CT spine — sagittal reformat — scan covers 12 annotated vertebrae
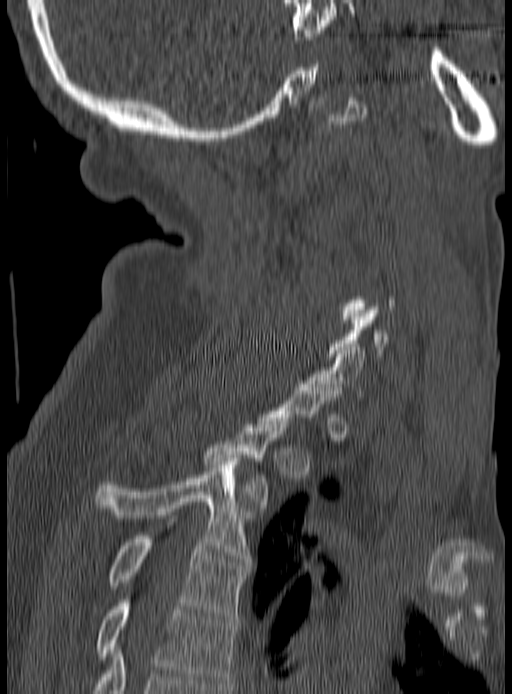 Box edges are left/top/right/bottom in pixels.
Each vertebra is boxed only on the slices from the first to the last where its cross-section reaches a third of its largest, so a slice outside that range leaves it unboxed.
| vertebra | x1 | y1 | x2 | y2 |
|---|---|---|---|---|
| C7 | 308 | 344 | 365 | 400 |
| T2 | 203 | 418 | 288 | 511 |
| T3 | 95 | 458 | 253 | 565 |
| T4 | 109 | 536 | 248 | 619 |
| T5 | 98 | 596 | 237 | 686 |